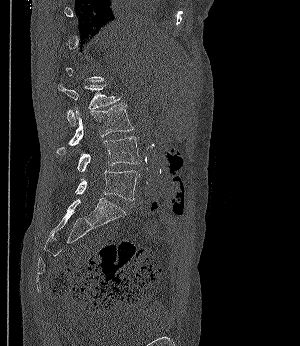

Computed tomography of the spine — sagittal view — image width 300 mm — Bone window (WL 400, WW 1800)
Boxes: x1:y1:x2:y2 in pixels.
A vertebra gets a box only on the slices from the first to the last where its cross-section is at least a third of its largest; on a slice outside that range it gets none.
Vertebra bounding boxes:
- L2: 57:84:120:125
- L3: 57:104:133:154
- L4: 77:136:141:171
- L5: 75:170:139:200